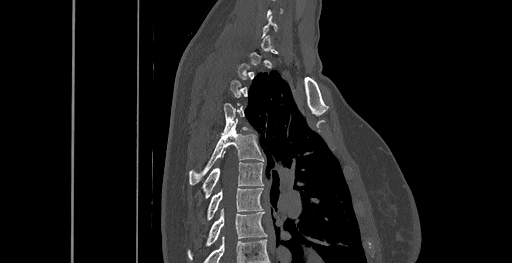 CT. sagittal view. 461 mm wide
A vertebra gets a box only on the slices from the first to the last where its cross-section is at least a third of its largest; on a slice outside that range it gets none.
<vertebrae><v name="T5" x1="189" y1="125" x2="263" y2="185"/><v name="T6" x1="201" y1="162" x2="263" y2="199"/><v name="T7" x1="206" y1="187" x2="262" y2="221"/><v name="T8" x1="188" y1="209" x2="268" y2="260"/></vertebrae>